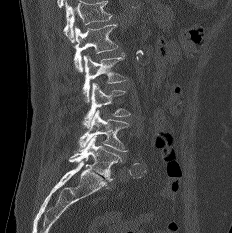
CT, spine. the image spans 232 mm across. sagittal view. Bone window (WL 400, WW 1800)

In the table, x1 and y1 are a box's top-left corner and x2 and y2 its bottom-right corner, in pixels.
Vertebrae that run past the top of the scan are left unlabeled.
| vertebra | x1 | y1 | x2 | y2 |
|---|---|---|---|---|
| L1 | 74 | 24 | 118 | 72 |
| L2 | 83 | 52 | 126 | 102 |
| L3 | 82 | 83 | 130 | 128 |
| L4 | 78 | 110 | 129 | 152 |
| L5 | 69 | 135 | 121 | 181 |